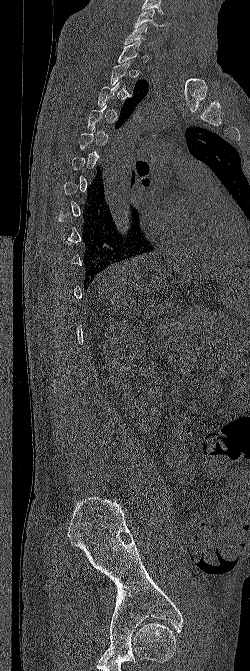

Spine computed tomography. sagittal view. W/L 1800/400 HU. 250x671 px. 250 mm wide
Each box given as x1,y1,x2,y2.
Each vertebra is boxed only on the slices from the first to the last where its cross-section reaches a third of its largest, so a slice outside that range leaves it unboxed.
C6: x1=134, y1=9, x2=168, y2=30
C7: x1=124, y1=24, x2=154, y2=45